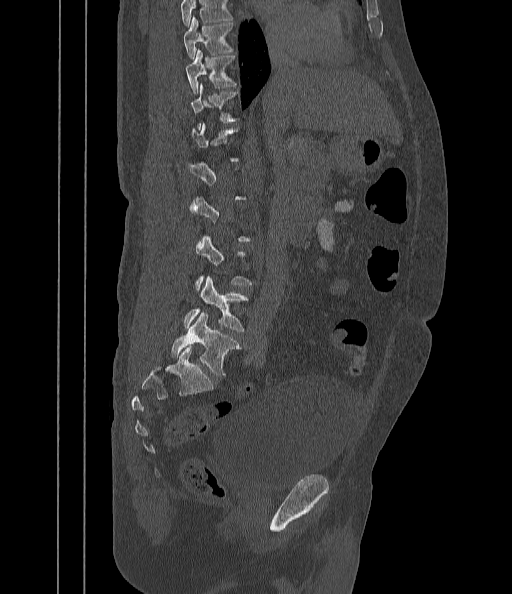
Spine computed tomography — sagittal view — W/L 1800/400 HU — 512x594 px
Bounding boxes as [x1, y1, x2, y2] in pixel coordinates.
Not every vertebra on this slice has a box: a vertebra is boxed only from the first to the last slice where its cross-section is at least a third of its largest, and this slice is outside that range for at least one of them.
No box is given to a vertebra that the top edge of the scan cuts off.
Vertebra bounding boxes:
- T9: [183, 16, 235, 58]
- T10: [185, 50, 236, 93]
- T11: [191, 83, 239, 128]
- L4: [184, 276, 248, 331]
- L5: [171, 313, 241, 376]